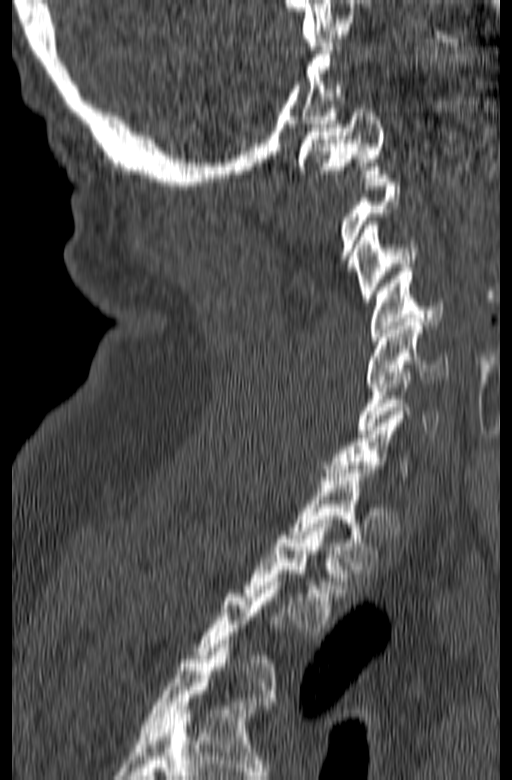
CT spine — sagittal reformat — bone-window reconstruction — 512x780 px
Columns x1, y1, x2, y2 give each box's top-left and bottom-right pixels.
A vertebra is boxed only from the first to the last slice where its cross-section is at least a third of its largest; slices outside that range leave it without a box.
| vertebra | x1 | y1 | x2 | y2 |
|---|---|---|---|---|
| C1 | 297 | 105 | 385 | 177 |
| C3 | 352 | 221 | 420 | 302 |
| C4 | 370 | 268 | 444 | 340 |
| C5 | 367 | 318 | 448 | 387 |
| C6 | 357 | 368 | 439 | 433 |
| T1 | 290 | 465 | 378 | 569 |
| T2 | 244 | 520 | 349 | 631 |